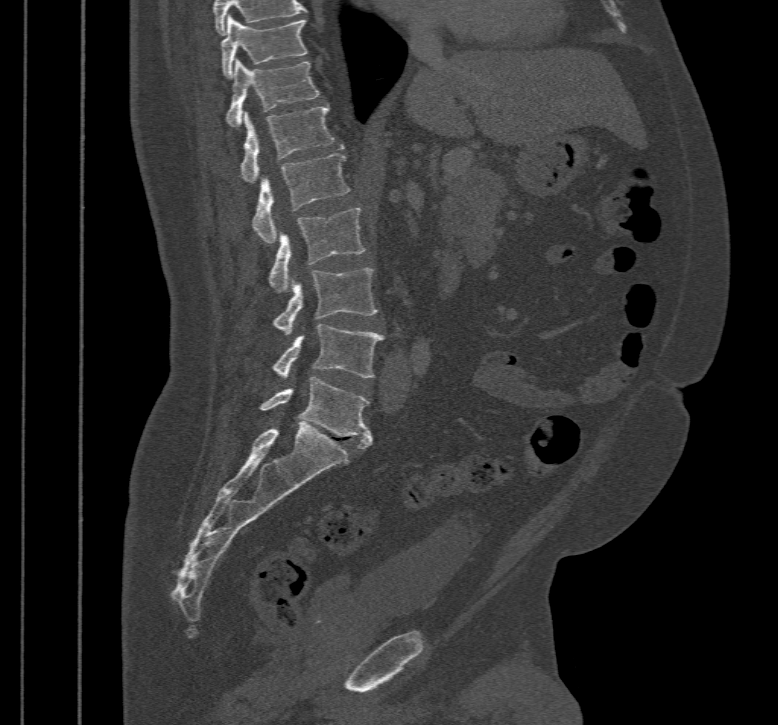

CT spine; sagittal view; bone window; 467 mm wide; 778x725 px. Box edges are left/top/right/bottom in pixels.
Vertebra bounding boxes:
- T10: left=222, top=15, right=308, bottom=78
- T11: left=227, top=59, right=318, bottom=126
- T12: left=240, top=107, right=333, bottom=183
- L1: left=252, top=153, right=349, bottom=243
- L2: left=268, top=207, right=365, bottom=293
- L3: left=274, top=268, right=378, bottom=334
- L4: left=272, top=324, right=385, bottom=378
- L5: left=260, top=377, right=373, bottom=448